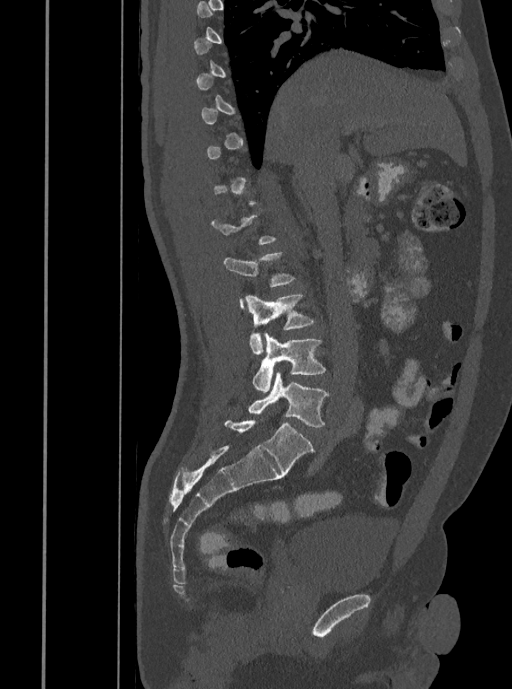
Spine CT. image 408 mm wide. sagittal view. bone window. 512x689 px
Not every vertebra on this slice has a box: a vertebra is boxed only from the first to the last slice where its cross-section is at least a third of its largest, and this slice is outside that range for at least one of them.
<vertebrae><v name="L5" x1="248" y1="373" x2="329" y2="427"/><v name="L4" x1="252" y1="333" x2="325" y2="393"/><v name="L3" x1="245" y1="294" x2="314" y2="355"/><v name="L2" x1="223" y1="252" x2="294" y2="308"/></vertebrae>